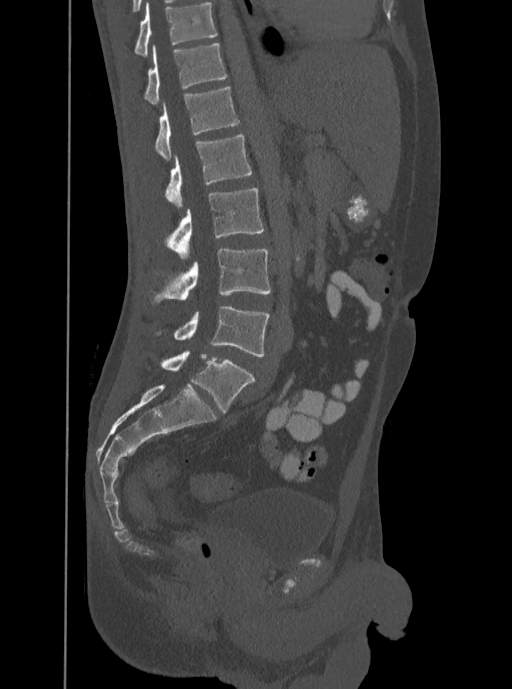

Spine CT. sagittal reformat. Bone window (WL 400, WW 1800). 512x689 px

This scan's labels start at T12 at the top and end at L5 at the bottom.
<vertebrae><v name="T12" x1="144" y1="43" x2="227" y2="104"/><v name="L1" x1="154" y1="86" x2="239" y2="160"/><v name="L2" x1="165" y1="134" x2="252" y2="210"/><v name="L3" x1="168" y1="188" x2="264" y2="258"/><v name="L4" x1="155" y1="249" x2="271" y2="302"/><v name="L5" x1="157" y1="307" x2="269" y2="357"/></vertebrae>